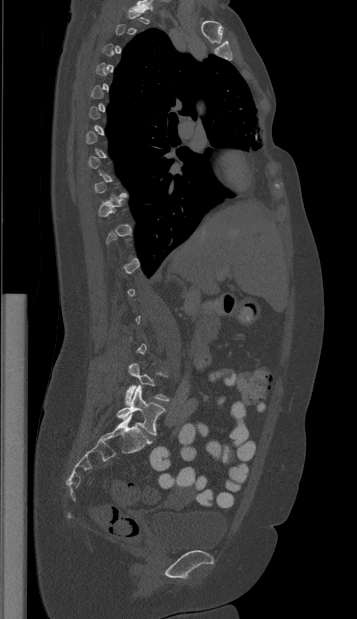
Spine CT. sagittal view. Bone window (WL 400, WW 1800). Box edges are left/top/right/bottom in pixels.
Each vertebra is boxed only on the slices from the first to the last where its cross-section reaches a third of its largest, so a slice outside that range leaves it unboxed.
L4: left=125, top=363, right=169, bottom=405
L5: left=116, top=386, right=165, bottom=434